CT — Sagittal slice 234/512 — Bone window (WL 400, WW 1800) — 512x929 px — 157 mm wide — scan covers 13 annotated vertebrae
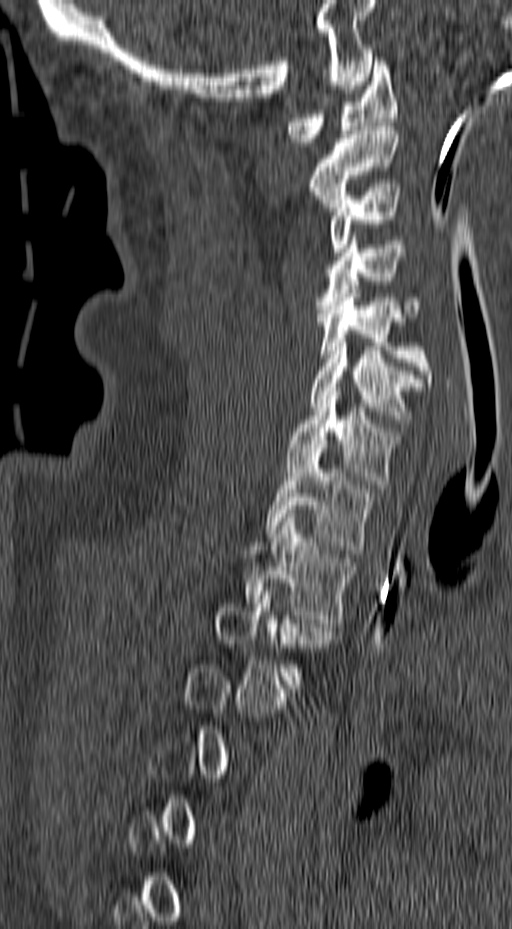

Boxes are given in columns x1, y1, x2, y2, the pixel coordinates of their top-left and bottom-right corners.
A vertebra gets a box only on the slices from the first to the last where its cross-section is at least a third of its largest; on a slice outside that range it gets none.
| vertebra | x1 | y1 | x2 | y2 |
|---|---|---|---|---|
| C1 | 286 | 57 | 398 | 146 |
| C2 | 308 | 122 | 398 | 211 |
| C3 | 329 | 183 | 401 | 252 |
| C4 | 317 | 241 | 421 | 317 |
| C5 | 317 | 289 | 433 | 386 |
| C6 | 311 | 338 | 428 | 423 |
| C7 | 285 | 387 | 401 | 488 |
| T1 | 265 | 448 | 375 | 549 |
| T2 | 245 | 514 | 356 | 627 |
| T3 | 216 | 587 | 336 | 688 |